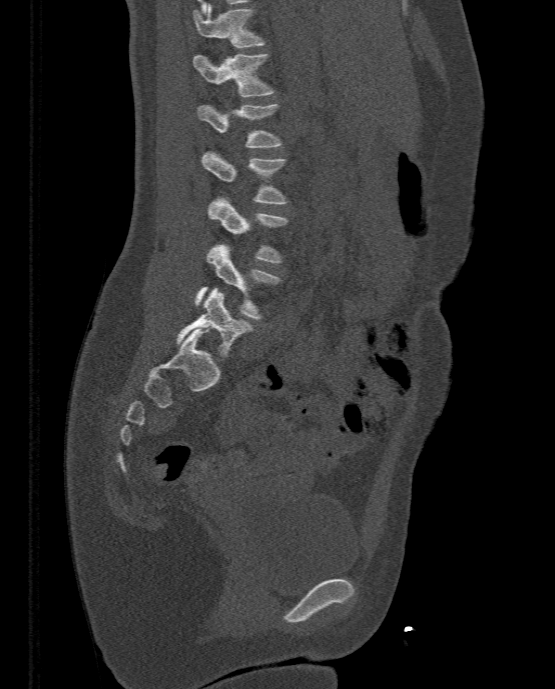

Spine computed tomography. sagittal reformat

Coordinates as <box>x1,y1,x2,y2</box>.
L5: <box>177,287,254,358</box>
L4: <box>194,244,282,319</box>
L3: <box>207,196,288,262</box>
L2: <box>202,149,288,204</box>
L1: <box>198,104,282,147</box>
T12: <box>193,53,275,96</box>
T11: <box>193,4,266,47</box>